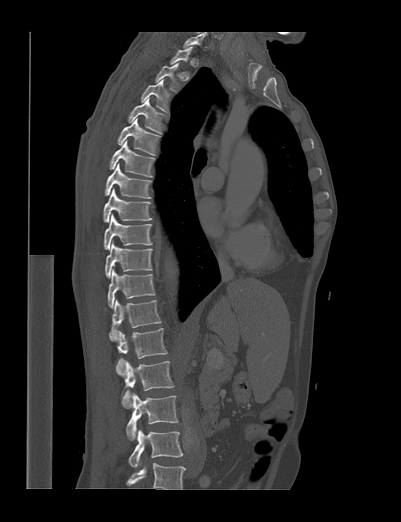

CT, spine — sagittal view — image 401 mm wide — bone window
Boxes: x1:y1:x2:y2 in pixels.
A vertebra is boxed only from the first to the last slice where its cross-section is at least a third of its largest; slices outside that range leave it without a box.
The highest labeled vertebra in this scan is T1; the lowest is L4.
T3: 141:79:170:113
T4: 128:96:163:134
T5: 117:118:161:155
T6: 109:140:154:177
T7: 104:163:151:198
T8: 103:188:152:222
T9: 103:214:152:250
T10: 105:241:152:278
T11: 107:269:155:309
T12: 109:299:161:341
L1: 116:328:166:376
L2: 122:361:173:407
L3: 126:393:178:440
L4: 128:429:183:467